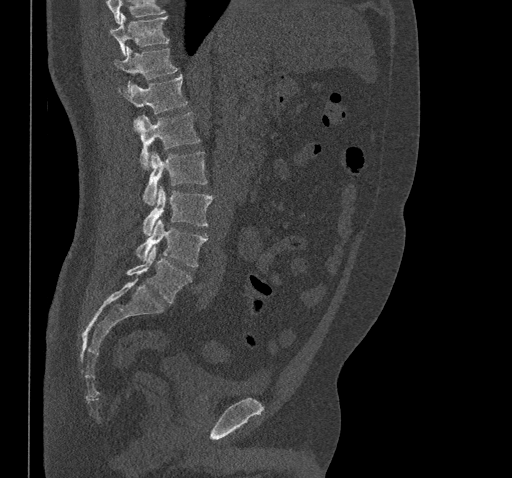
Computed tomography of the spine · sagittal view · bone window · 512x478 px · 461 mm image width

Where the top of the scan cuts through a vertebra, that vertebra gets no label or box.
<vertebrae><v name="T10" x1="110" y1="15" x2="169" y2="55"/><v name="T11" x1="114" y1="47" x2="177" y2="88"/><v name="T12" x1="119" y1="75" x2="187" y2="127"/><v name="L1" x1="136" y1="111" x2="200" y2="169"/><v name="L2" x1="143" y1="151" x2="207" y2="205"/><v name="L3" x1="143" y1="187" x2="213" y2="235"/><v name="L4" x1="135" y1="219" x2="207" y2="267"/><v name="L5" x1="127" y1="246" x2="192" y2="304"/></vertebrae>